Computed tomography of the spine · sagittal view · W/L 1800/400 HU
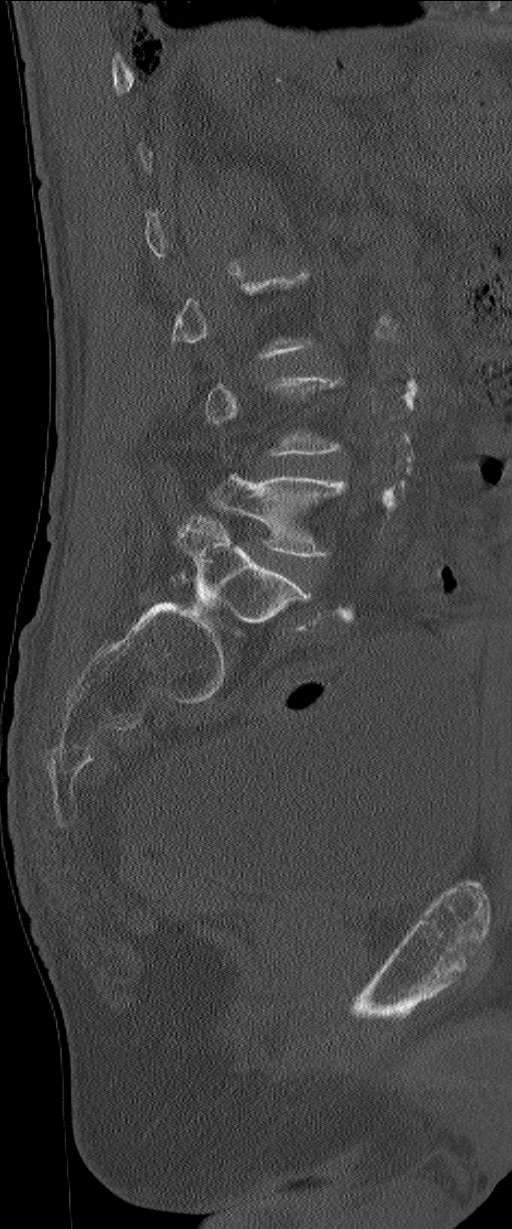 Not every vertebra on this slice has a box: a vertebra is boxed only from the first to the last slice where its cross-section is at least a third of its largest, and this slice is outside that range for at least one of them.
These labels give the spine a sixth lumbar vertebra, L6, below L5.
<vertebrae><v name="L6" x1="179" y1="516" x2="310" y2="622"/><v name="L5" x1="213" y1="474" x2="346" y2="557"/></vertebrae>